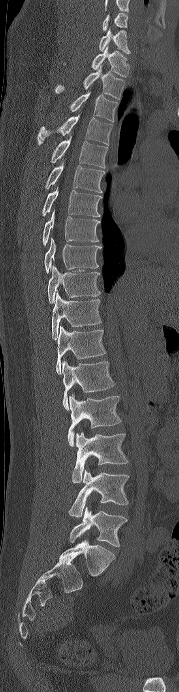
CT; sagittal view; Bone window (WL 400, WW 1800)
Boxes: x1:y1:x2:y2 in pixels. Labels in this scan begin with C6 at the top and end with L5 at the bottom. 19 vertebrae labeled — C6 at 102:12:127:31; C7 at 99:29:130:53; T1 at 91:47:128:77; T2 at 55:66:124:99; T3 at 69:91:117:122; T4 at 37:114:112:145; T5 at 50:136:108:168; T6 at 45:161:102:192; T7 at 41:187:100:216; T8 at 42:210:98:245; T9 at 44:237:101:273; T10 at 47:265:100:303; T11 at 52:292:101:339; T12 at 55:326:106:374; L1 at 62:360:115:410; L2 at 67:393:121:446; L3 at 72:431:128:482; L4 at 68:470:129:517; L5 at 69:506:127:547.